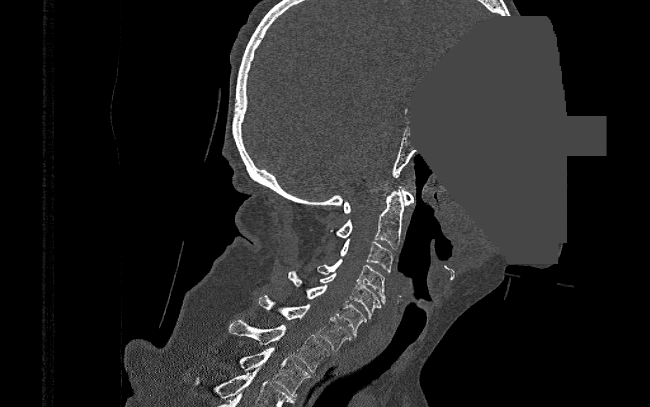

Computed tomography of the spine · sagittal view · bone window · 650x407 px · a portion of the image is blanked out (constant pixel value)
Coordinates as <box>x1,y1,x2,y2</box>.
T2: <box>211,349,310,396</box>
T1: <box>229,320,329,371</box>
C7: <box>258,296,351,349</box>
C6: <box>288,270,366,336</box>
C5: <box>319,273,381,319</box>
C4: <box>316,259,385,304</box>
C3: <box>339,239,393,273</box>
C2: <box>329,190,404,248</box>
C1: <box>343,188,414,213</box>